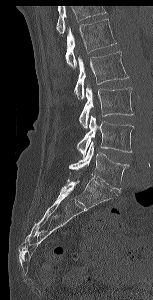 CT; sagittal view
Boxes are (x1, y1, x2, y2) in pixels. No box is given to a vertebra that the top edge of the scan cuts off. 5 vertebrae labeled — L1 at (65, 19, 116, 68); L2 at (74, 51, 128, 99); L3 at (79, 86, 133, 128); L4 at (77, 115, 133, 156); L5 at (69, 142, 129, 190).